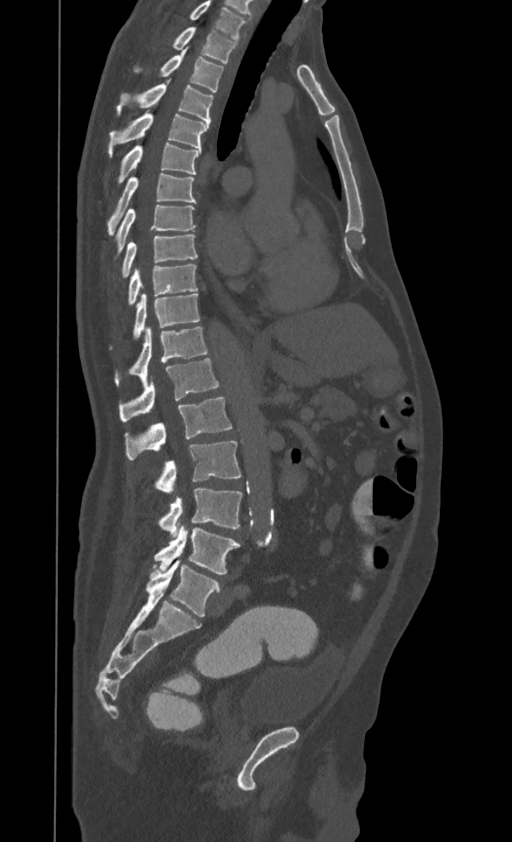

Computed tomography of the spine — 395 mm across the image — sagittal view — W/L 1800/400 HU — 512x842 px. In the table, x1 and y1 are a box's top-left corner and x2 and y2 its bottom-right corner, in pixels.
Labels in this scan begin with T1 at the top and end with L4 at the bottom.
| vertebra | x1 | y1 | x2 | y2 |
|---|---|---|---|---|
| T1 | 172 | 27 | 236 | 63 |
| T2 | 133 | 48 | 223 | 92 |
| T3 | 117 | 84 | 213 | 124 |
| T4 | 109 | 113 | 208 | 155 |
| T5 | 119 | 142 | 201 | 182 |
| T6 | 107 | 173 | 196 | 235 |
| T7 | 118 | 204 | 195 | 252 |
| T8 | 122 | 234 | 197 | 277 |
| T9 | 128 | 265 | 197 | 305 |
| T10 | 133 | 293 | 200 | 338 |
| T11 | 115 | 327 | 208 | 384 |
| T12 | 119 | 358 | 218 | 421 |
| L1 | 126 | 397 | 231 | 459 |
| L2 | 155 | 441 | 241 | 492 |
| L3 | 159 | 489 | 241 | 538 |
| L4 | 154 | 525 | 240 | 574 |